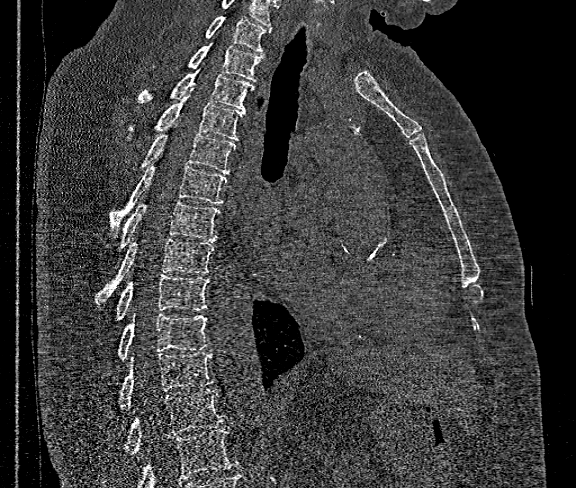 Spine CT. sagittal view. W/L 1800/400 HU. image width 360 mm
Boxes: x1:y1:x2:y2 in pixels. Where the bottom of the scan cuts through a vertebra, that vertebra gets no label or box. This scan's labels start at T1 at the top and end at T12 at the bottom. The labeled vertebrae in this slice are: T12 at 125:389:226:454, T11 at 119:352:213:407, T10 at 118:314:208:359, T9 at 117:274:208:319, T8 at 96:239:215:305, T7 at 121:200:219:246, T6 at 110:165:227:231, T5 at 144:123:235:174, T4 at 156:88:243:140, T3 at 137:70:254:111, T2 at 189:43:262:81, T1 at 206:16:271:52.